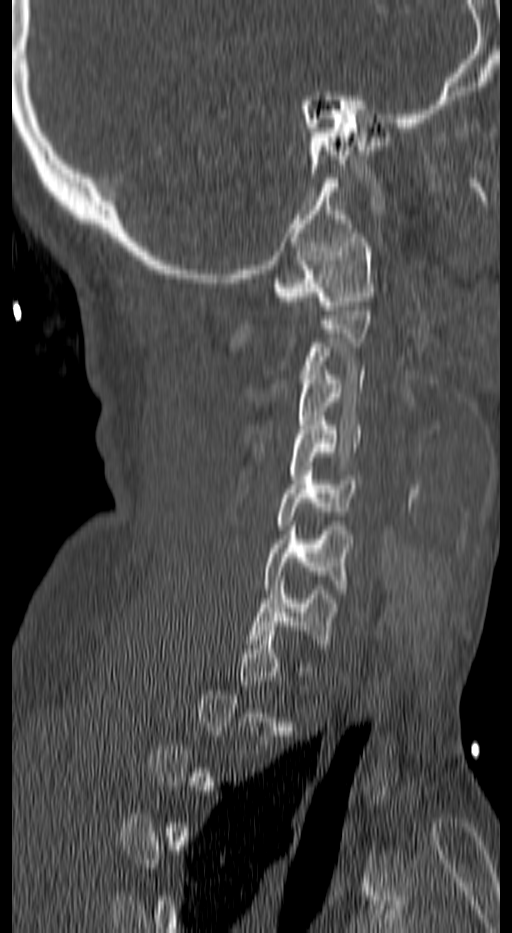

Computed tomography of the spine — sagittal view — Bone window (WL 400, WW 1800)
Box edges are left/top/right/bottom in pixels. A vertebra gets a box only on the slices from the first to the last where its cross-section is at least a third of its largest; on a slice outside that range it gets none. 6 vertebrae labeled — C7 at left=250, top=581, right=337, bottom=648; C6 at left=265, top=526, right=348, bottom=593; C5 at left=276, top=466, right=355, bottom=529; C4 at left=290, top=416, right=359, bottom=479; C3 at left=298, top=370, right=366, bottom=438; C1 at left=276, top=233, right=373, bottom=310.